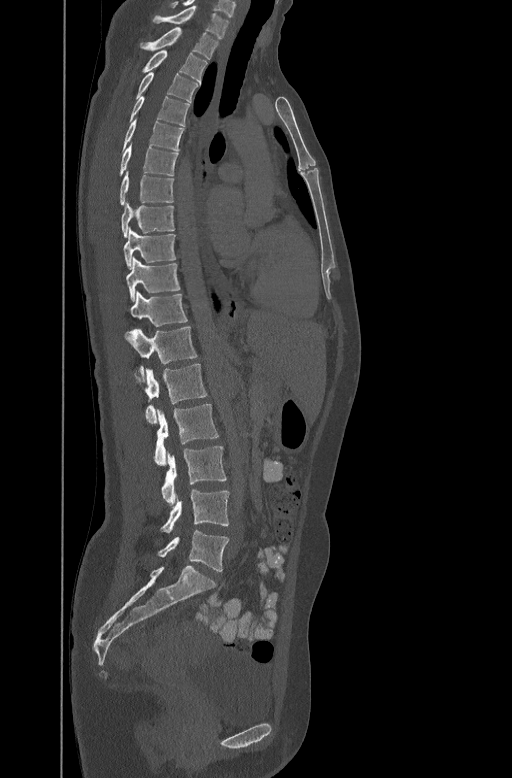 CT, spine · sagittal view · bone-window reconstruction
Coordinates as <box>x1,y1,x2,y2</box>.
Vertebra bounding boxes:
- C7: <box>152,5,229,37</box>
- T1: <box>141,27,218,58</box>
- T2: <box>143,48,207,81</box>
- T3: <box>136,70,199,100</box>
- T4: <box>129,95,189,125</box>
- T5: <box>122,116,183,148</box>
- T6: <box>119,142,178,175</box>
- T7: <box>119,170,173,204</box>
- T8: <box>121,201,174,236</box>
- T9: <box>124,227,175,268</box>
- T10: <box>126,256,180,300</box>
- T11: <box>128,291,187,325</box>
- T12: <box>124,325,197,373</box>
- L1: <box>143,363,207,424</box>
- L2: <box>155,404,219,465</box>
- L3: <box>161,446,226,505</box>
- L4: <box>160,490,229,533</box>
- L5: <box>158,530,229,571</box>